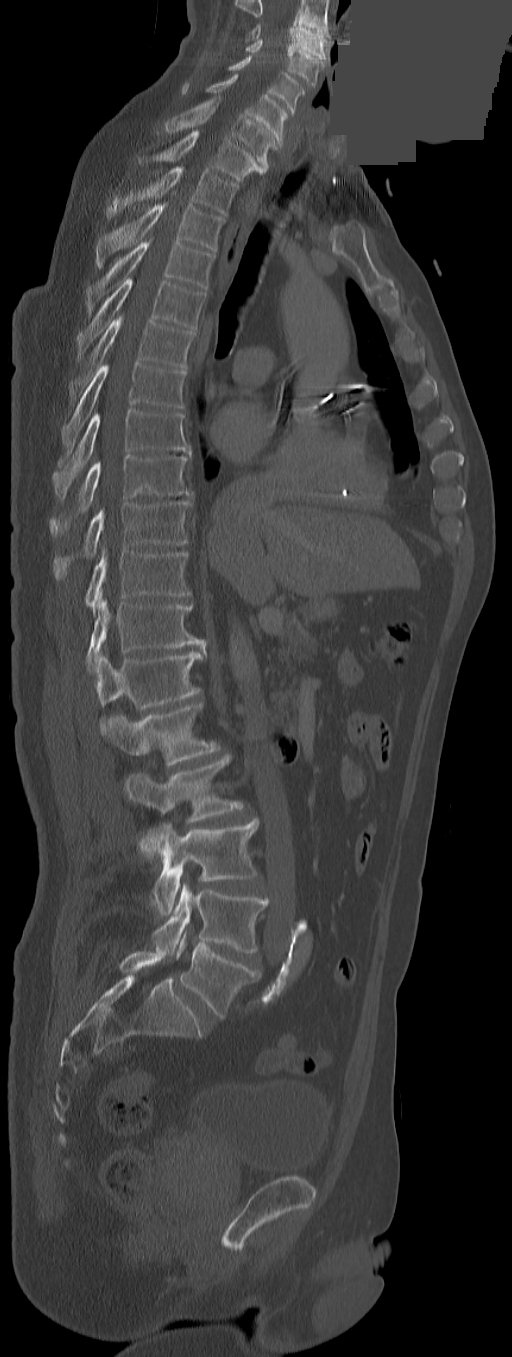 Spine CT · sagittal view · Bone window (WL 400, WW 1800) · a portion of the image is blanked out (constant pixel value)

Box edges are left/top/right/bottom in pixels.
This scan's labels start at C3 at the top and end at L5 at the bottom.
These labels give the spine a thirteenth thoracic vertebra: T13 sits between T12 and L1.
Vertebra bounding boxes:
- C3: left=245, top=24, right=326, bottom=59
- C4: left=245, top=39, right=325, bottom=86
- C5: left=228, top=56, right=305, bottom=112
- C6: left=206, top=74, right=287, bottom=145
- C7: left=164, top=96, right=277, bottom=169
- T1: left=139, top=131, right=265, bottom=181
- T2: left=106, top=166, right=237, bottom=216
- T3: left=95, top=205, right=225, bottom=267
- T4: left=87, top=242, right=214, bottom=313
- T5: left=78, top=278, right=205, bottom=358
- T6: left=71, top=315, right=195, bottom=402
- T7: left=62, top=363, right=186, bottom=448
- T8: left=53, top=409, right=189, bottom=497
- T9: left=50, top=454, right=191, bottom=536
- T10: left=53, top=502, right=189, bottom=580
- T11: left=85, top=548, right=189, bottom=616
- T12: left=87, top=591, right=202, bottom=672
- T13: left=95, top=648, right=205, bottom=728
- L1: left=102, top=701, right=219, bottom=767
- L2: left=125, top=754, right=244, bottom=860
- L3: left=152, top=821, right=258, bottom=916
- L4: left=152, top=882, right=269, bottom=957
- L5: left=176, top=933, right=260, bottom=1018